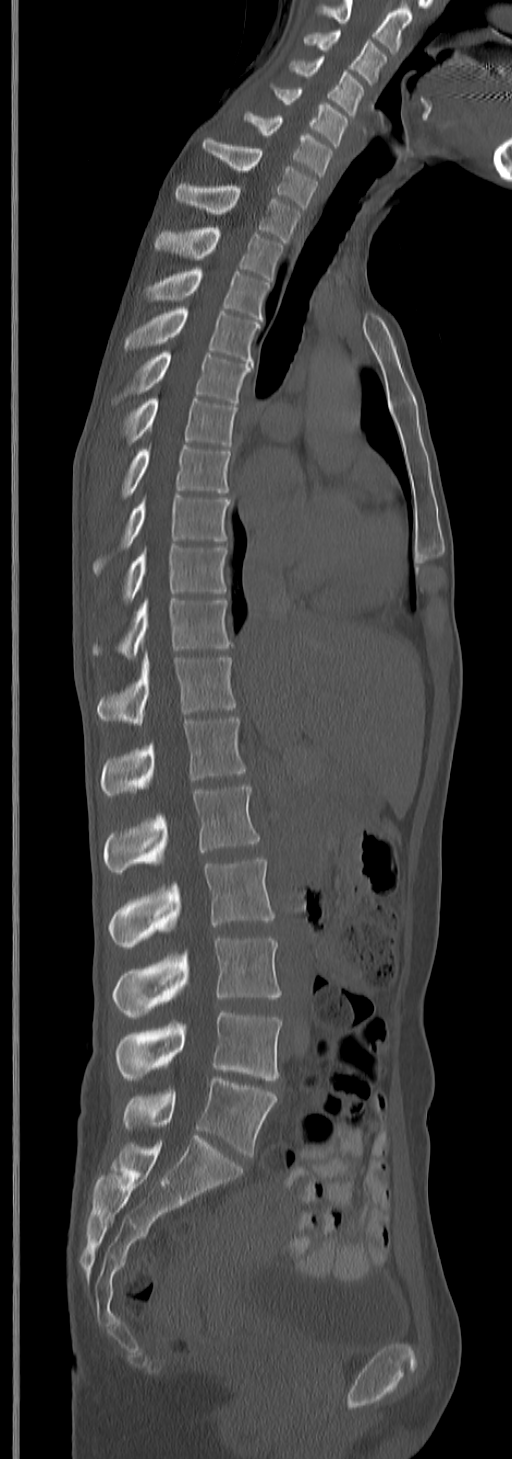

CT, spine — sagittal view — 245 mm across the image
This scan's labels start at C3 at the top and end at L5 at the bottom.
<vertebrae><v name="L5" x1="122" y1="1077" x2="277" y2="1155"/><v name="L4" x1="115" y1="1010" x2="282" y2="1080"/><v name="L3" x1="111" y1="937" x2="282" y2="1018"/><v name="L2" x1="107" y1="858" x2="275" y2="949"/><v name="L1" x1="103" y1="784" x2="259" y2="873"/><v name="T12" x1="101" y1="718" x2="246" y2="796"/><v name="T11" x1="97" y1="651" x2="236" y2="725"/><v name="T10" x1="92" y1="598" x2="232" y2="658"/><v name="T9" x1="124" y1="546" x2="227" y2="602"/><v name="T8" x1="92" y1="494" x2="229" y2="574"/><v name="T7" x1="120" y1="446" x2="232" y2="501"/><v name="T6" x1="122" y1="398" x2="238" y2="445"/><v name="T5" x1="113" y1="352" x2="252" y2="403"/><v name="T4" x1="124" y1="308" x2="259" y2="361"/><v name="T3" x1="145" y1="268" x2="269" y2="319"/><v name="T2" x1="155" y1="226" x2="284" y2="280"/><v name="T1" x1="176" y1="182" x2="300" y2="242"/><v name="C7" x1="203" y1="139" x2="317" y2="209"/><v name="C6" x1="245" y1="111" x2="332" y2="177"/><v name="C5" x1="272" y1="84" x2="351" y2="146"/><v name="C4" x1="289" y1="57" x2="363" y2="117"/><v name="C3" x1="304" y1="30" x2="386" y2="83"/></vertebrae>